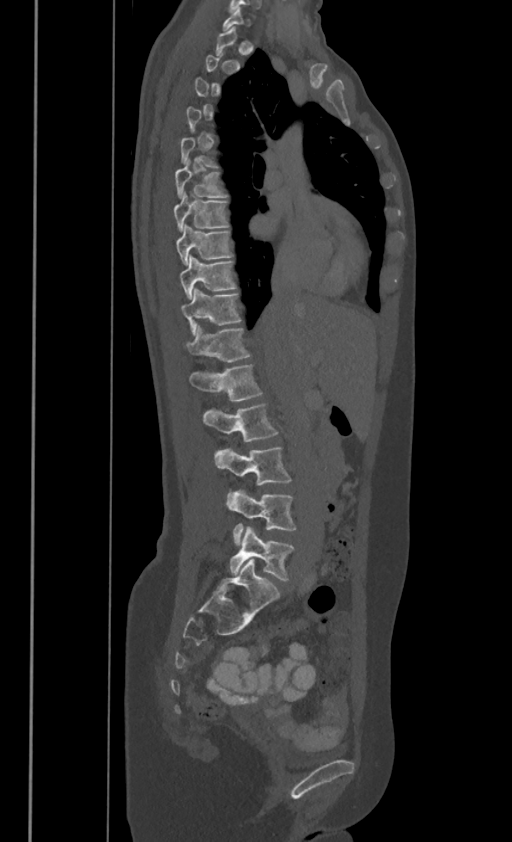
Spine CT · sagittal view · Bone window (WL 400, WW 1800) · 512x842 px

In the table, x1 and y1 are a box's top-left corner and x2 and y2 its bottom-right corner, in pixels.
Not every vertebra on this slice has a box: a vertebra is boxed only from the first to the last slice where its cross-section is at least a third of its largest, and this slice is outside that range for at least one of them.
In these labels the spine has no T12: the thoracic vertebrae end at T11, and L1 comes next.
| vertebra | x1 | y1 | x2 | y2 |
|---|---|---|---|---|
| T6 | 175 | 159 | 227 | 196 |
| T7 | 174 | 192 | 228 | 229 |
| T8 | 176 | 223 | 232 | 264 |
| T9 | 180 | 254 | 236 | 297 |
| T10 | 182 | 288 | 240 | 333 |
| T11 | 186 | 324 | 250 | 361 |
| L1 | 190 | 363 | 261 | 400 |
| L2 | 203 | 402 | 277 | 442 |
| L3 | 215 | 446 | 291 | 492 |
| L4 | 227 | 491 | 296 | 545 |
| L5 | 229 | 526 | 293 | 580 |